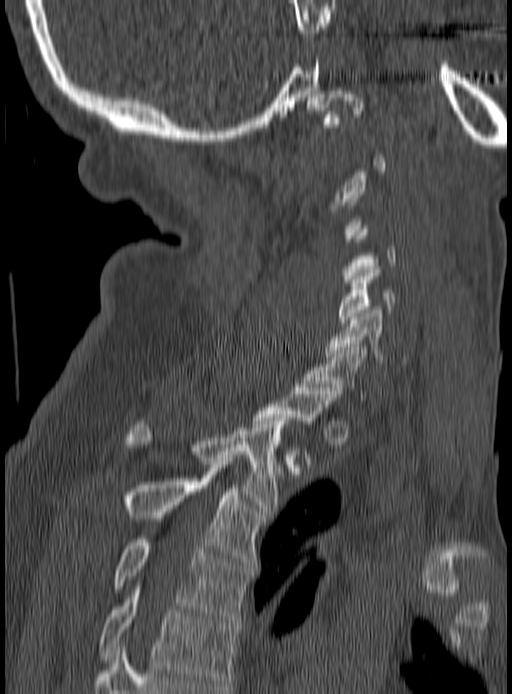
CT · sagittal view · bone window · 512x694 px
Box edges are left/top/right/bottom in pixels.
A vertebra gets a box only on the slices from the first to the last where its cross-section is at least a third of its largest; on a slice outside that range it gets none.
Vertebra bounding boxes:
- T5: left=101, top=586, right=237, bottom=686
- T4: left=114, top=539, right=250, bottom=619
- T3: left=125, top=475, right=264, bottom=565
- T2: left=128, top=418, right=289, bottom=514
- T1: left=252, top=387, right=339, bottom=460
- C7: left=303, top=347, right=367, bottom=403
- C6: left=324, top=307, right=411, bottom=366
- C5: left=338, top=266, right=396, bottom=322
- C4: left=343, top=226, right=396, bottom=289